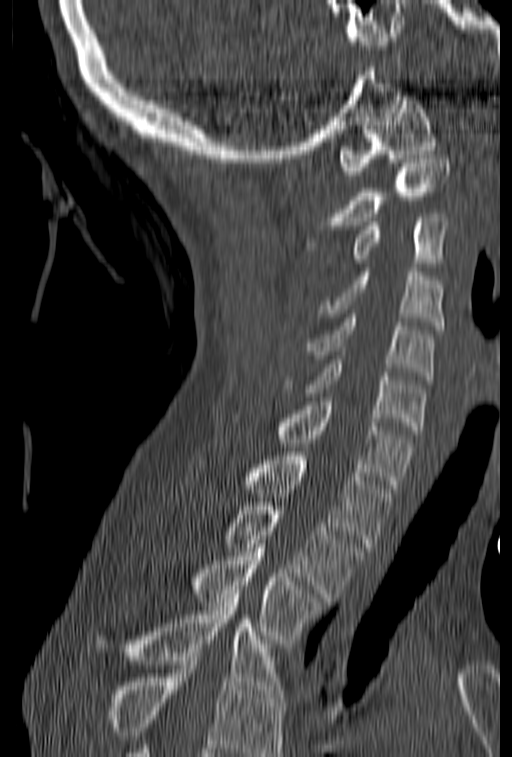

CT spine · sagittal reformat · 153 mm across the image
No box is given to a vertebra that the bottom edge of the scan cuts off.
<vertebrae><v name="C1" x1="339" y1="96" x2="436" y2="179"/><v name="C2" x1="304" y1="155" x2="449" y2="246"/><v name="C3" x1="352" y1="213" x2="449" y2="267"/><v name="C4" x1="318" y1="268" x2="442" y2="329"/><v name="C5" x1="306" y1="314" x2="433" y2="380"/><v name="C6" x1="280" y1="360" x2="425" y2="434"/><v name="C7" x1="279" y1="397" x2="415" y2="488"/><v name="T1" x1="244" y1="452" x2="395" y2="547"/><v name="T2" x1="224" y1="502" x2="365" y2="597"/><v name="T3" x1="195" y1="548" x2="325" y2="643"/><v name="T4" x1="94" y1="590" x2="284" y2="698"/></vertebrae>